Spine computed tomography — sagittal plane, index 112 — W/L 1800/400 HU
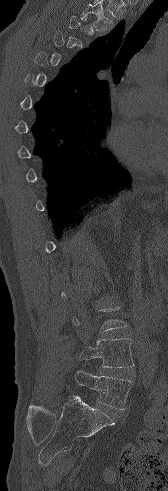

Each box given as x1,y1,x2,y2.
A vertebra gets a box only on the slices from the first to the last where its cross-section is at least a third of its largest; on a slice outside that range it gets none.
| vertebra | x1 | y1 | x2 | y2 |
|---|---|---|---|---|
| L5 | 75 | 370 | 132 | 409 |
| L4 | 80 | 338 | 134 | 367 |